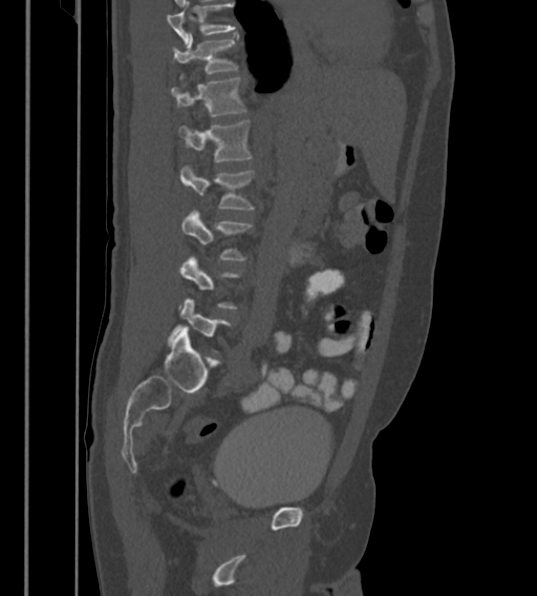

Spine computed tomography — sagittal view — Bone window (WL 400, WW 1800) — 537x596 px
Box edges are left/top/right/bottom in pixels.
Each vertebra is boxed only on the slices from the first to the last where its cross-section reaches a third of its largest, so a slice outside that range leaves it unboxed.
Labels in this scan begin with T12 at the top and end with L6 at the bottom.
Vertebra bounding boxes:
- T12: left=171, top=33, right=236, bottom=74
- L1: left=171, top=77, right=247, bottom=116
- L2: left=178, top=120, right=252, bottom=161
- L3: left=180, top=166, right=254, bottom=209
- L4: left=181, top=215, right=250, bottom=260